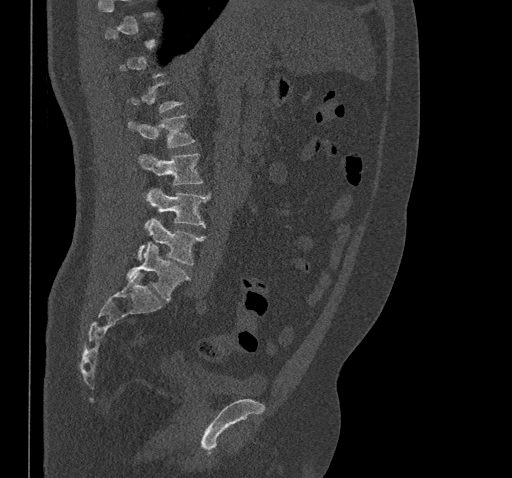 Spine CT; sagittal view; Bone window (WL 400, WW 1800); 512x478 px; 461 mm image width

Each box is [x1, y1, x2, y2] in pixels: top-left corner, then bottom-right corner.
A vertebra is boxed only from the first to the last slice where its cross-section is at least a third of its largest; slices outside that range leave it without a box.
{"vertebrae":{"L5":[127,242,189,301],"L4":[138,218,205,265],"L3":[145,189,209,227],"L2":[139,154,203,185],"L1":[128,115,194,147]}}